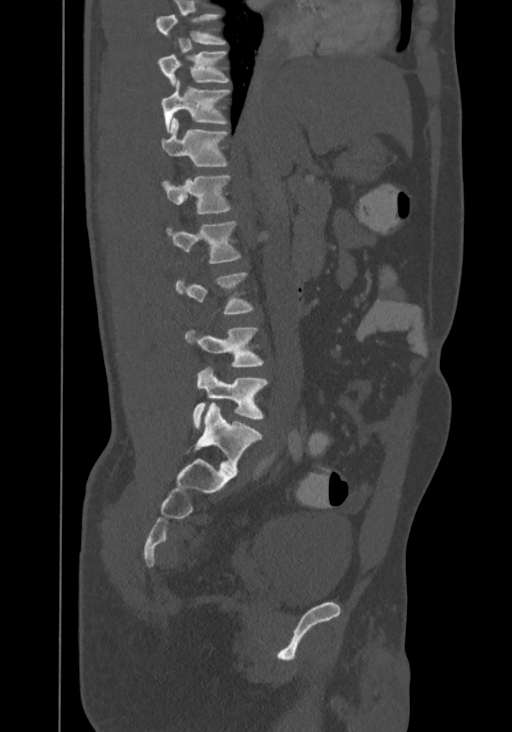
Computed tomography of the spine. sagittal view. Bone window (WL 400, WW 1800). 512x732 px. 367 mm image width. Each box given as x1,y1,x2,y2. Labels in this scan begin with T8 at the top and end with L4 at the bottom. The labeled vertebrae in this slice are: T8 at x1=155, y1=14, x2=225, y2=43, T9 at x1=157, y1=51, x2=229, y2=87, T10 at x1=160, y1=79, x2=229, y2=131, T11 at x1=162, y1=118, x2=228, y2=166, T12 at x1=163, y1=175, x2=230, y2=214, L1 at x1=167, y1=221, x2=240, y2=263, L2 at x1=176, y1=274, x2=253, y2=314, L3 at x1=185, y1=328, x2=262, y2=367, L4 at x1=192, y1=367, x2=267, y2=430.